Computed tomography of the spine. sagittal plane, index 325
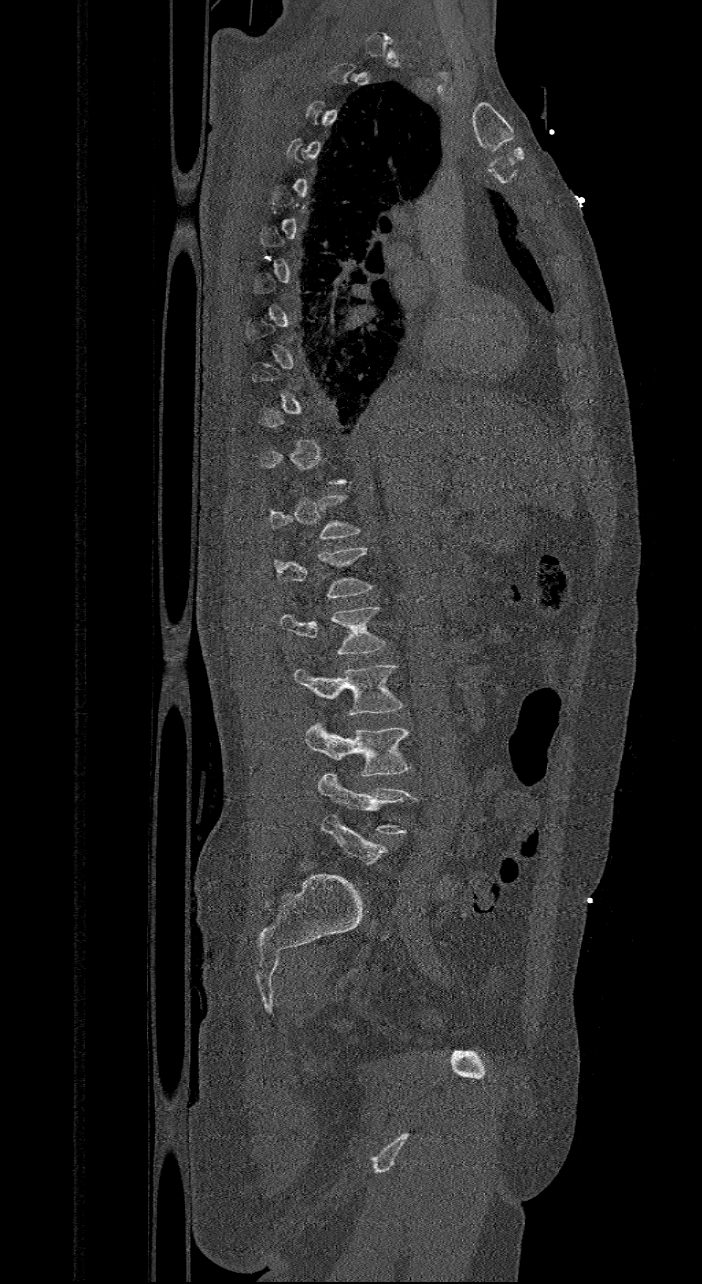
Boxes are (x1, y1, x2, y2) in pixels.
A vertebra is boxed only from the first to the last slice where its cross-section is at least a third of its largest; slices outside that range leave it without a box.
These labels give the spine a sixth lumbar vertebra, L6, below L5.
Vertebra bounding boxes:
- L1: (275, 547, 372, 597)
- L2: (280, 605, 385, 653)
- L3: (293, 664, 402, 715)
- L4: (304, 723, 410, 775)
- L5: (318, 773, 418, 833)
- L6: (321, 816, 387, 865)